Computed tomography of the spine; sagittal reformat; 768x1012 px; image width 227 mm
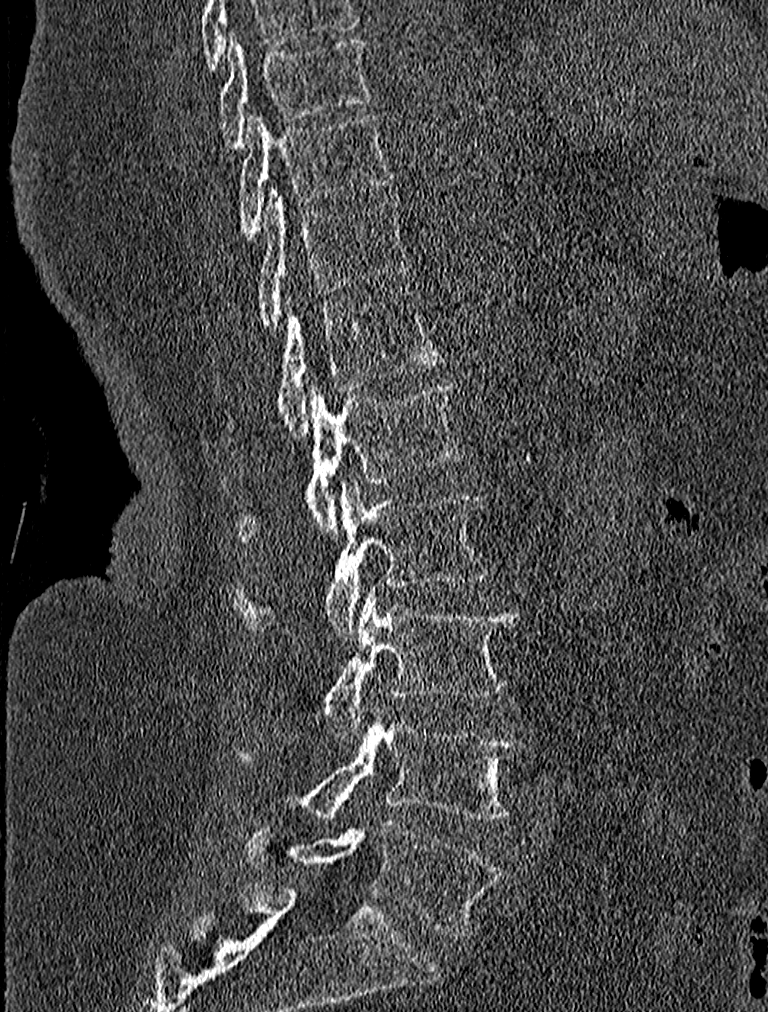
Boxes: x1:y1:x2:y2 in pixels.
T9: 219:33:370:147
T10: 239:111:394:240
T11: 254:187:411:331
T12: 222:288:444:437
L1: 224:382:465:543
L2: 232:481:492:637
L3: 320:586:519:739
L4: 286:709:523:820
L5: 246:821:502:935